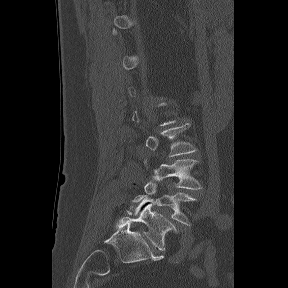 Spine computed tomography · sagittal view · Bone window (WL 400, WW 1800) · 288 mm across the image
Each row gives a vertebra's box as x1, y1, x2, y2 in pixels: top-left corner, then bottom-right corner.
A vertebra gets a box only on the slices from the first to the last where its cross-section is at least a third of its largest; on a slice outside that range it gets none.
The labels name a sixth lumbar vertebra for this spine: L6, after L5.
| vertebra | x1 | y1 | x2 | y2 |
|---|---|---|---|---|
| L3 | 145 | 123 | 196 | 156 |
| L4 | 144 | 158 | 202 | 189 |
| L5 | 132 | 181 | 196 | 225 |
| L6 | 116 | 204 | 176 | 250 |